Spine CT · sagittal view · 576x488 px
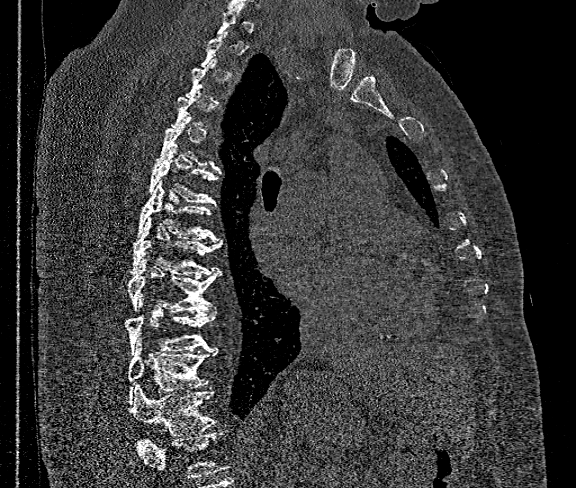

Each vertebra is boxed only on the slices from the first to the last where its cross-section reaches a third of its largest, so a slice outside that range leaves it unboxed.
No box is given to a vertebra that the bottom edge of the scan cuts off.
<vertebrae><v name="T6" x1="148" y1="149" x2="219" y2="204"/><v name="T7" x1="137" y1="182" x2="218" y2="241"/><v name="T8" x1="130" y1="217" x2="221" y2="276"/><v name="T9" x1="128" y1="258" x2="221" y2="311"/><v name="T10" x1="126" y1="300" x2="215" y2="355"/><v name="T11" x1="128" y1="340" x2="216" y2="403"/><v name="T12" x1="130" y1="388" x2="218" y2="456"/></vertebrae>